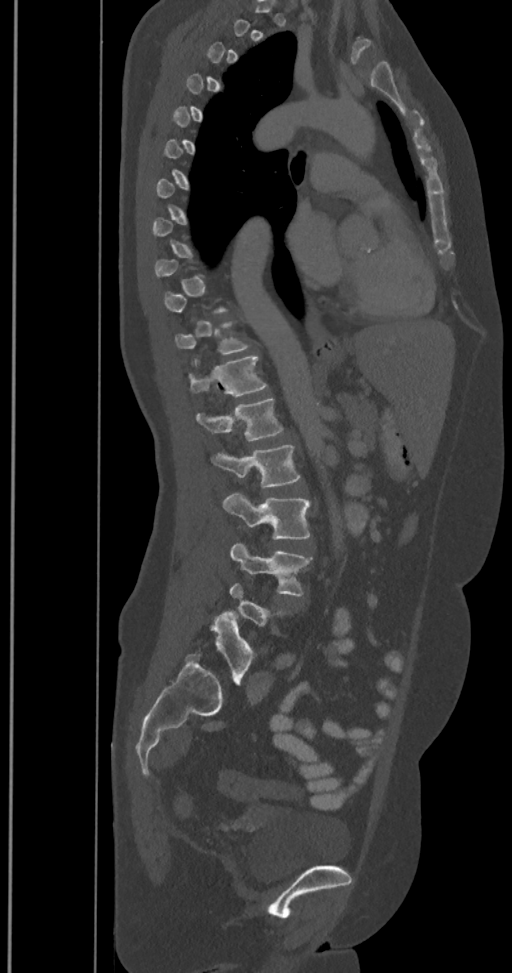

CT. image width 350 mm. sagittal view. W/L 1800/400 HU

Box values are [left, top, right, bottom] in pixels.
A vertebra is boxed only from the first to the last slice where its cross-section is at least a third of its largest; slices outside that range leave it without a box.
The labels name a sixth lumbar vertebra for this spine: L6, after L5.
{"vertebrae":{"T11":[175,321,249,354],"T12":[187,355,268,397],"L1":[196,398,284,441],"L2":[210,444,302,487],"L3":[224,492,310,539],"L4":[231,542,312,597],"L6":[196,612,255,682]}}